Spine CT. sagittal plane, index 31. 256 mm image width. W/L 1800/400 HU. 256x256 px
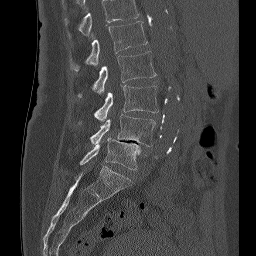

Each box given as x1,y1,x2,y2.
This scan's labels start at L1 at the top and end at L5 at the bottom.
Vertebra bounding boxes:
- L1: x1=70, y1=21, x2=147, y2=71
- L2: x1=78, y1=51, x2=156, y2=97
- L3: x1=94, y1=85, x2=158, y2=122
- L4: x1=90, y1=114, x2=155, y2=146
- L5: x1=80, y1=137, x2=140, y2=170